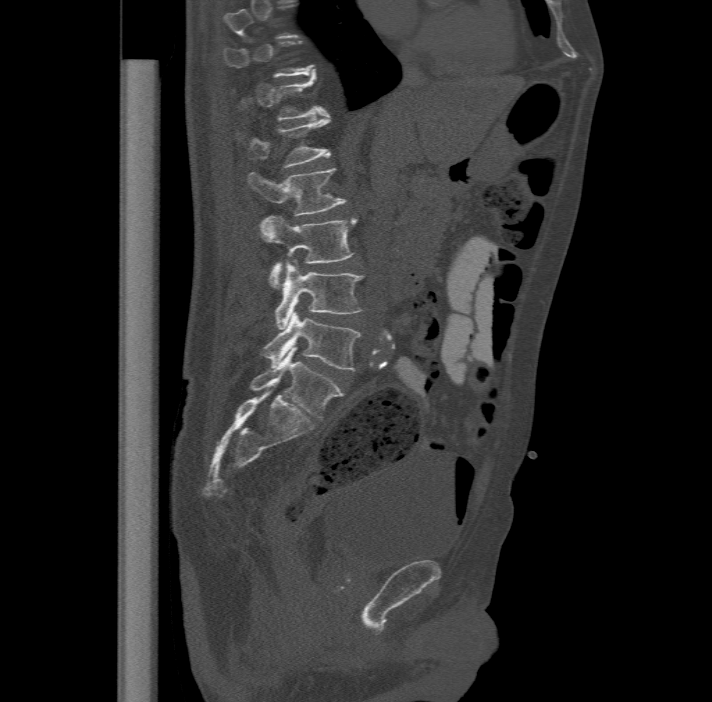 Computed tomography of the spine. sagittal view. image width 477 mm. Boxes: x1:y1:x2:y2 in pixels.
Not every vertebra on this slice has a box: a vertebra is boxed only from the first to the last slice where its cross-section is at least a third of its largest, and this slice is outside that range for at least one of them.
In these labels the spine has an L6, a sixth lumbar vertebra below L5.
T12: 232:74:329:120
L1: 238:116:330:166
L2: 248:167:347:214
L3: 260:215:358:287
L4: 274:259:363:329
L5: 261:313:361:370
L6: 250:347:342:419